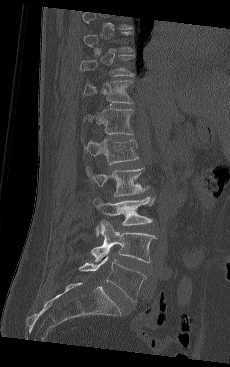
CT; sagittal view
Coordinates as <box>x1,y1,x2,y2</box>.
Not every vertebra on this slice has a box: a vertebra is boxed only from the first to the last slice where its cross-section is at least a third of its largest, and this slice is outside that range for at least one of them.
Vertebra bounding boxes:
- L5: <box>79,255,145,302</box>
- L4: <box>90,221,156,262</box>
- L3: <box>93,197,154,235</box>
- L2: <box>86,166,149,196</box>
- L1: <box>81,138,139,164</box>
- T12: <box>83,108,133,134</box>
- T11: <box>84,80,133,103</box>
- T10: <box>80,55,135,76</box>